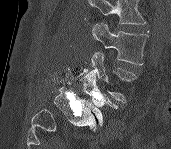

Spine CT · sagittal view · bone window · 171 mm wide. Boxes: x1 y1 x2 y2 (pixel coords, space-separated).
A vertebra cut off by the top edge of the scan is not labeled and has no box.
Vertebra bounding boxes:
- L3: 91 23 148 65
- L4: 78 51 137 102
- L5: 79 70 119 125